CT, spine · Sagittal slice 403/768
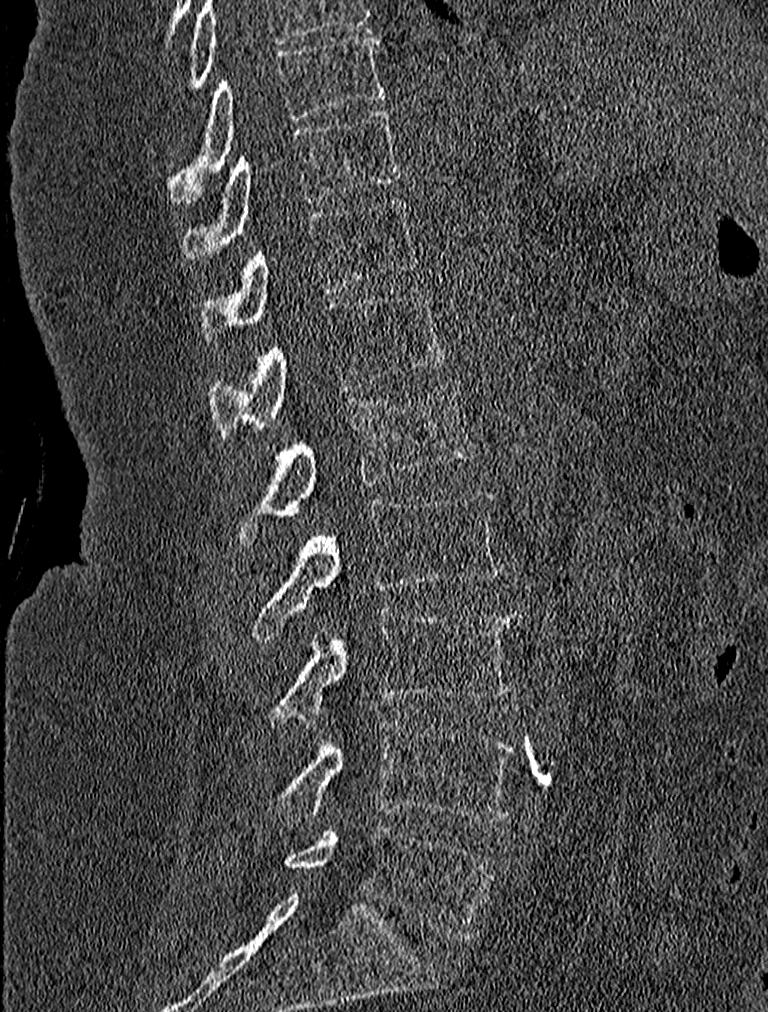 Columns x1, y1, x2, y2 give each box's top-left and bottom-right pixels.
| vertebra | x1 | y1 | x2 | y2 |
|---|---|---|---|---|
| T9 | 168 | 33 | 384 | 201 |
| T10 | 182 | 108 | 404 | 259 |
| T11 | 198 | 196 | 417 | 342 |
| T12 | 209 | 285 | 448 | 437 |
| L1 | 236 | 382 | 475 | 543 |
| L2 | 249 | 490 | 502 | 640 |
| L3 | 269 | 607 | 522 | 721 |
| L4 | 269 | 719 | 516 | 823 |
| L5 | 283 | 824 | 495 | 938 |